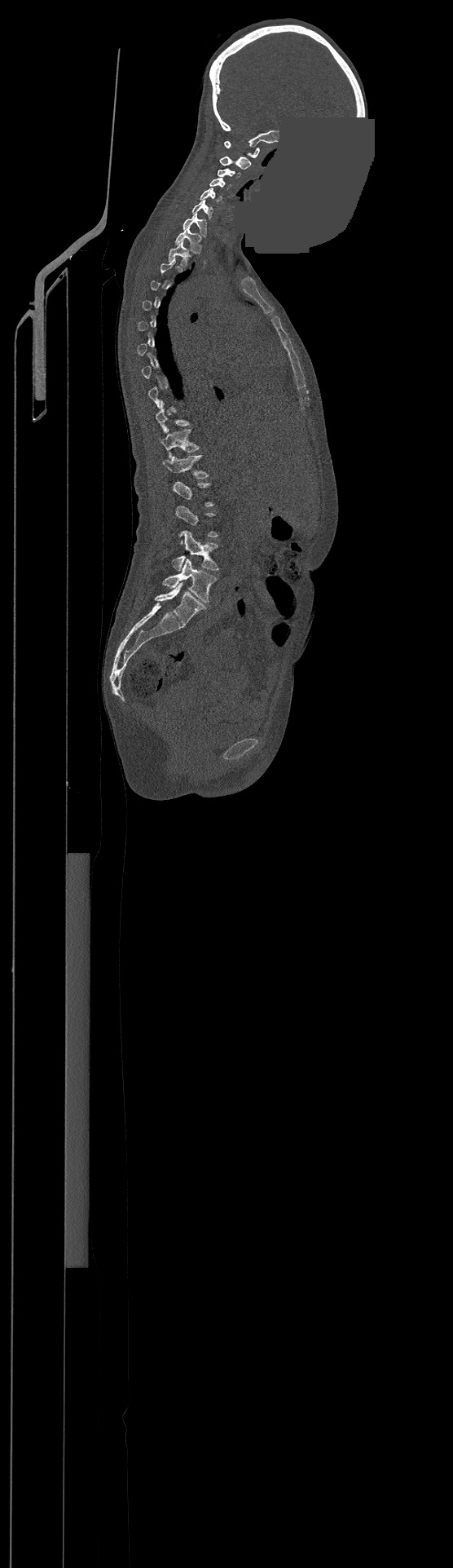
Computed tomography of the spine · sagittal view · 453x1568 px · an area of the scan was removed and filled with constant pixels
A vertebra is boxed only from the first to the last slice where its cross-section is at least a third of its largest; slices outside that range leave it without a box.
Labels in this scan begin with C1 at the top and end with L4 at the bottom.
<vertebrae><v name="C1" x1="225" y1="141" x2="259" y2="157"/><v name="C2" x1="220" y1="157" x2="251" y2="170"/><v name="C3" x1="218" y1="168" x2="241" y2="178"/><v name="C4" x1="210" y1="177" x2="231" y2="188"/><v name="C5" x1="200" y1="188" x2="222" y2="202"/><v name="C6" x1="191" y1="200" x2="213" y2="219"/><v name="C7" x1="183" y1="211" x2="205" y2="236"/><v name="T1" x1="176" y1="226" x2="200" y2="253"/><v name="T2" x1="168" y1="241" x2="189" y2="266"/><v name="T11" x1="159" y1="428" x2="198" y2="457"/><v name="T12" x1="163" y1="456" x2="208" y2="478"/><v name="L3" x1="173" y1="531" x2="218" y2="571"/><v name="L4" x1="163" y1="559" x2="216" y2="603"/></vertebrae>